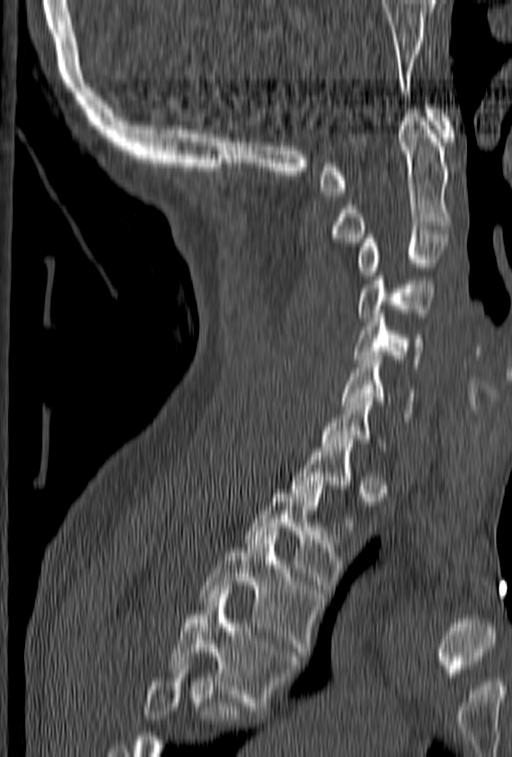 CT, spine. sagittal view. 512x757 px. Bounding boxes as [x1, y1, x2, y2] in pixel coordinates.
A vertebra gets a box only on the slices from the first to the last where its cross-section is at least a third of its largest; on a slice outside that range it gets none.
A vertebra cut off by the bottom edge of the scan is not labeled and has no box.
C1: [319, 105, 455, 196]
C2: [332, 109, 453, 242]
C3: [356, 230, 449, 279]
C4: [356, 264, 435, 321]
C5: [353, 310, 422, 367]
C6: [343, 356, 414, 421]
C7: [320, 389, 385, 451]
T2: [245, 485, 343, 593]
T3: [199, 531, 321, 660]
T4: [167, 590, 299, 710]